Spine computed tomography. sagittal reformat. the image spans 150 mm across. W/L 1800/400 HU
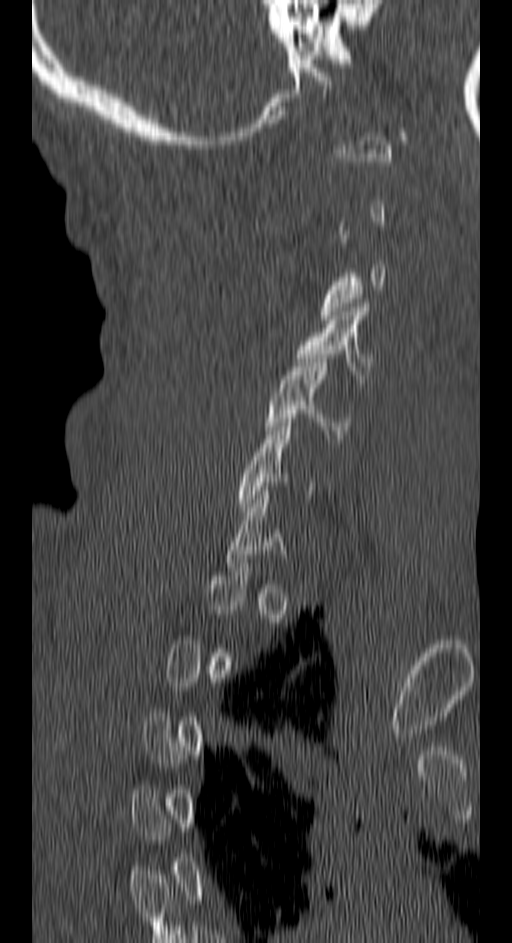
Coordinates as <box>x1,y1,x2,y2</box>.
Not every vertebra on this slice has a box: a vertebra is boxed only from the first to the last slice where its cross-section is at least a third of its largest, and this slice is outside that range for at least one of them.
Vertebra bounding boxes:
- C4: <box>295,303,369,379</box>
- C5: <box>264,354,350,438</box>